Spine CT; sagittal view; 478 mm across the image; bone-window reconstruction; 17 vertebrae labeled in this scan
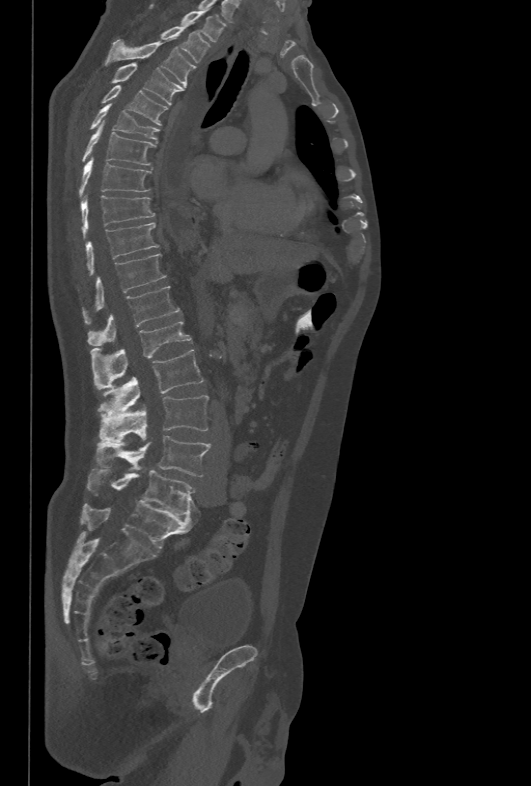
<vertebrae><v name="T1" x1="150" y1="5" x2="224" y2="42"/><v name="T2" x1="160" y1="25" x2="210" y2="63"/><v name="T3" x1="105" y1="36" x2="196" y2="86"/><v name="T4" x1="112" y1="63" x2="185" y2="104"/><v name="T5" x1="103" y1="85" x2="167" y2="125"/><v name="T6" x1="90" y1="103" x2="159" y2="139"/><v name="T7" x1="82" y1="120" x2="155" y2="165"/><v name="T8" x1="79" y1="156" x2="151" y2="197"/><v name="T9" x1="81" y1="195" x2="155" y2="236"/><v name="T10" x1="85" y1="223" x2="159" y2="275"/><v name="T11" x1="82" y1="254" x2="166" y2="323"/><v name="T12" x1="88" y1="286" x2="181" y2="345"/><v name="L1" x1="91" y1="320" x2="191" y2="388"/><v name="L2" x1="96" y1="349" x2="203" y2="415"/><v name="L3" x1="99" y1="395" x2="208" y2="441"/><v name="L4" x1="98" y1="436" x2="210" y2="476"/><v name="L5" x1="87" y1="469" x2="196" y2="515"/></vertebrae>